Computed tomography of the spine; Sagittal slice 241/512; bone-window reconstruction
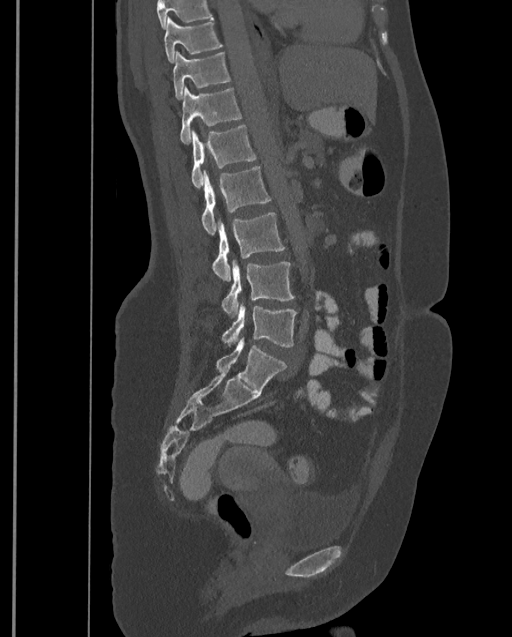

Vertebrae that run past the top of the scan are left unlabeled.
This scan's labels start at T9 at the top and end at L4 at the bottom.
<vertebrae><v name="L4" x1="222" y1="305" x2="297" y2="347"/><v name="L3" x1="222" y1="260" x2="294" y2="317"/><v name="L2" x1="212" y1="212" x2="285" y2="281"/><v name="L1" x1="201" y1="166" x2="271" y2="235"/><v name="T12" x1="191" y1="125" x2="257" y2="188"/><v name="T11" x1="180" y1="85" x2="243" y2="145"/><v name="T10" x1="173" y1="51" x2="230" y2="99"/><v name="T9" x1="164" y1="16" x2="222" y2="63"/></vertebrae>